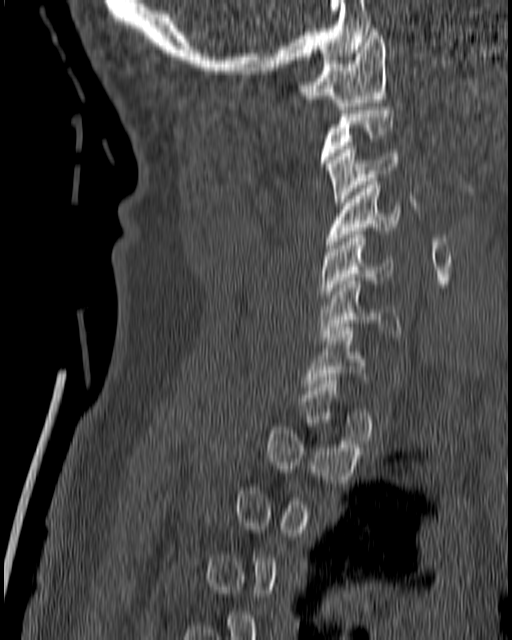
CT, spine; 180 mm image width; sagittal view
Coordinates as <box>x1,y1,x2,y2</box>.
A vertebra is boxed only from the first to the last slice where its cross-section is at least a third of its largest; slices outside that range leave it without a box.
Vertebra bounding boxes:
- C1: <box>298,28,387,109</box>
- C3: <box>325,146,398,205</box>
- C4: <box>325,178,401,248</box>
- C5: <box>319,235,393,301</box>
- C6: <box>319,277,401,340</box>
- C7: <box>302,324,367,390</box>